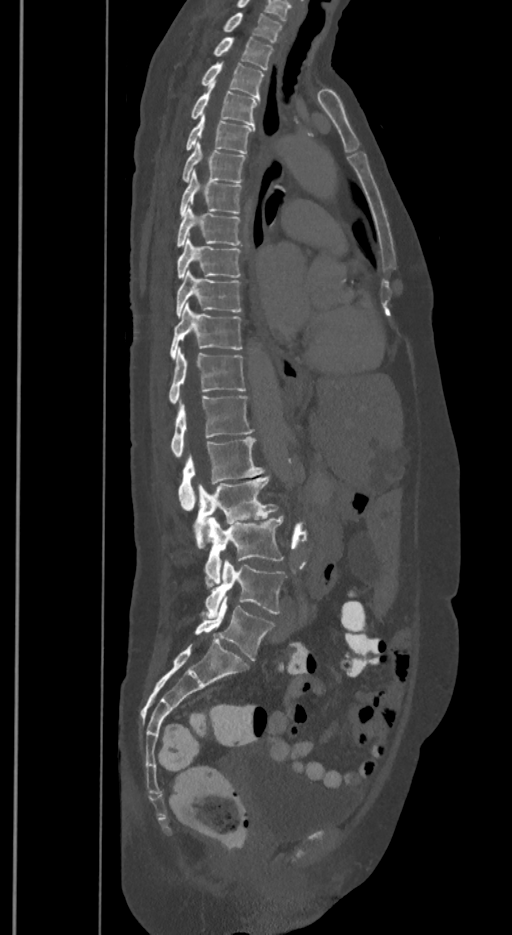
Spine computed tomography. sagittal view
Each box is [x1, y1, x2, y2] in pixels: top-left corner, then bottom-right corner.
The labels name a sixth lumbar vertebra for this spine: L6, after L5.
{"vertebrae":{"T1":[224,12,281,41],"T2":[213,37,272,69],"T3":[202,62,264,98],"T4":[191,82,258,125],"T5":[186,115,253,153],"T6":[183,142,245,182],"T7":[180,170,240,216],"T8":[177,207,240,247],"T9":[177,237,240,278],"T10":[177,271,242,316],"T11":[169,303,242,358],"T12":[169,349,245,403],"L1":[171,395,252,457],"L2":[178,437,264,510],"L3":[194,475,277,548],"L4":[205,516,283,588],"L5":[205,560,285,616],"L6":[195,595,274,660]}}